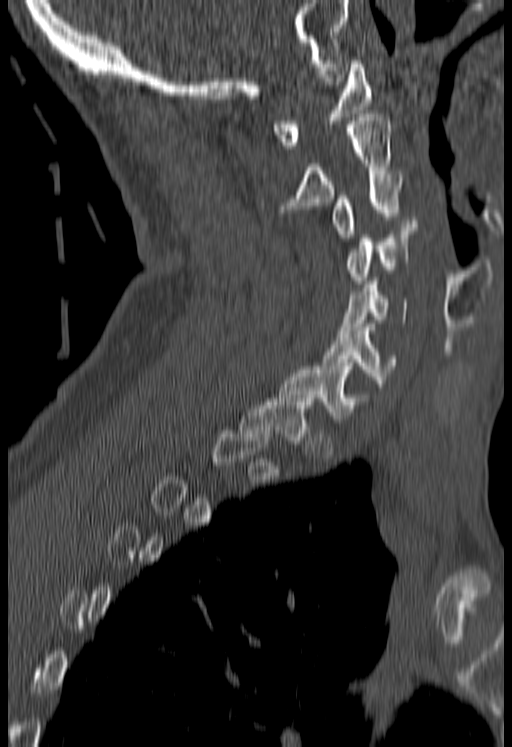
Computed tomography of the spine — sagittal view. Box edges are left/top/right/bottom in pixels.
A vertebra gets a box only on the slices from the first to the last where its cross-section is at least a third of its largest; on a slice outside that range it gets none.
| vertebra | x1 | y1 | x2 | y2 |
|---|---|---|---|---|
| C7 | 278 | 366 | 369 | 422 |
| C6 | 322 | 324 | 396 | 387 |
| C5 | 339 | 281 | 407 | 333 |
| C4 | 348 | 220 | 416 | 283 |
| C3 | 334 | 174 | 401 | 241 |
| C2 | 280 | 114 | 392 | 212 |
| C1 | 272 | 60 | 370 | 148 |